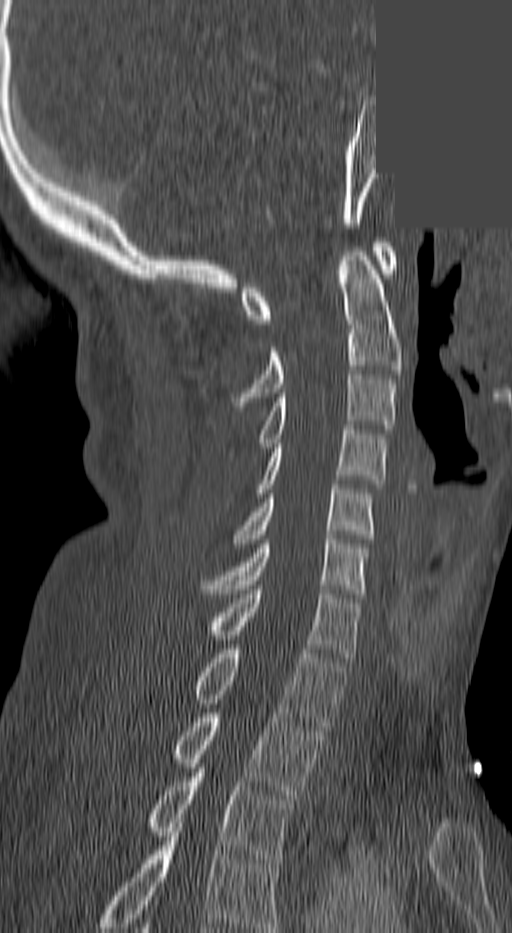

CT · sagittal view · 512x933 px · a region of this slice is masked with a uniform fill

Box edges are left/top/right/bottom in pixels.
The highest labeled vertebra in this scan is C1; the lowest is T3.
| vertebra | x1 | y1 | x2 | y2 |
|---|---|---|---|---|
| T3 | 148 | 768 | 289 | 863 |
| T2 | 173 | 713 | 322 | 799 |
| T1 | 192 | 649 | 344 | 730 |
| C7 | 210 | 590 | 359 | 657 |
| C6 | 202 | 539 | 366 | 593 |
| C5 | 235 | 485 | 373 | 543 |
| C4 | 257 | 430 | 388 | 497 |
| C3 | 257 | 375 | 395 | 452 |
| C2 | 234 | 247 | 399 | 406 |
| C1 | 239 | 242 | 395 | 324 |